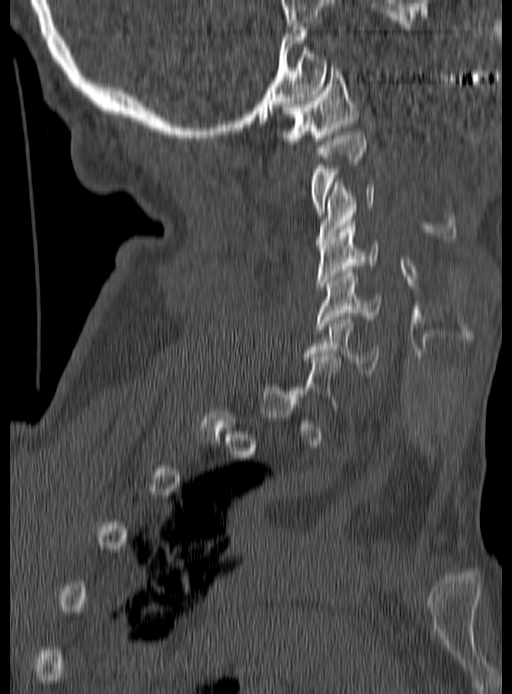 Computed tomography of the spine; sagittal view; bone window; 512x694 px
Each vertebra is boxed only on the slices from the first to the last where its cross-section reaches a third of its largest, so a slice outside that range leaves it unboxed.
<vertebrae><v name="C1" x1="278" y1="64" x2="358" y2="144"/><v name="C2" x1="311" y1="131" x2="366" y2="215"/><v name="C3" x1="316" y1="182" x2="375" y2="245"/><v name="C4" x1="316" y1="222" x2="378" y2="289"/><v name="C5" x1="316" y1="269" x2="384" y2="332"/><v name="C6" x1="303" y1="317" x2="380" y2="376"/></vertebrae>